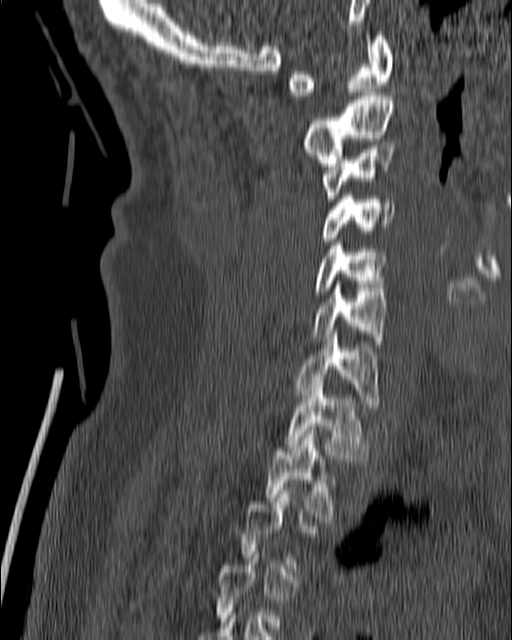
Spine CT; image 180 mm wide; sagittal view; W/L 1800/400 HU
Bounding boxes as [x1, y1, x2, y2] in pixel coordinates. Each vertebra is boxed only on the slices from the first to the last where its cross-section reaches a third of its largest, so a slice outside that range leaves it unboxed. Vertebrae labeled: C1 at [288, 32, 392, 99], C2 at [302, 92, 393, 166], C3 at [321, 146, 394, 202], C4 at [319, 192, 395, 241], C5 at [314, 242, 387, 294], C6 at [311, 284, 387, 347], C7 at [294, 331, 378, 404], T1 at [285, 380, 367, 461], T2 at [264, 430, 335, 522].